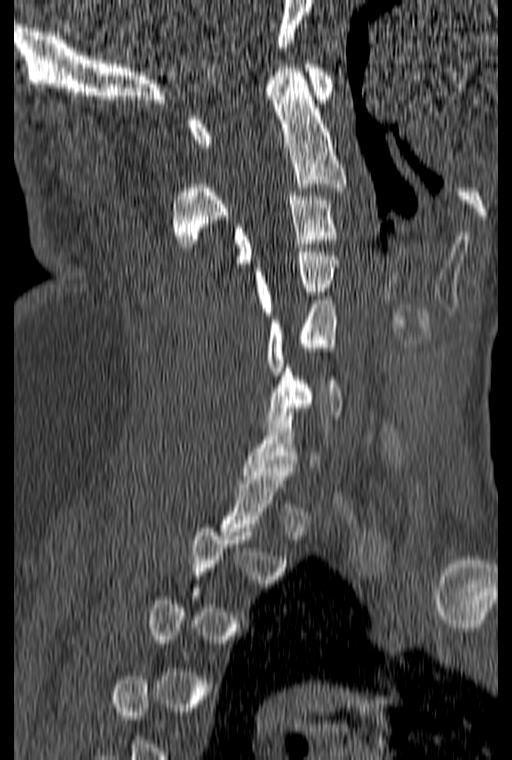
Spine computed tomography. sagittal view. image width 160 mm. Bone window (WL 400, WW 1800). 512x760 px
Box edges are left/top/right/bottom in pixels.
A vertebra gets a box only on the slices from the first to the last where its cross-section is at least a third of its largest; on a slice outside that range it gets none.
| vertebra | x1 | y1 | x2 | y2 |
|---|---|---|---|---|
| C6 | 266 | 364 | 343 | 427 |
| C5 | 267 | 300 | 337 | 375 |
| C4 | 254 | 248 | 339 | 315 |
| C3 | 234 | 192 | 339 | 263 |
| C2 | 172 | 64 | 346 | 247 |
| C1 | 189 | 60 | 334 | 147 |